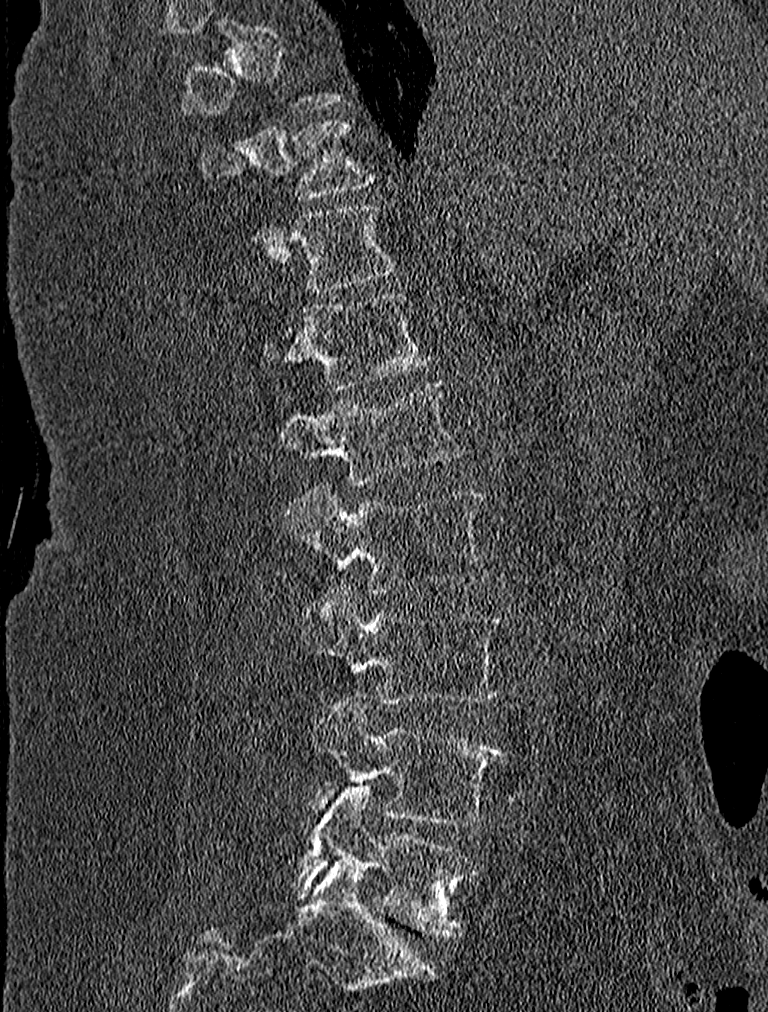

Computed tomography of the spine · sagittal view · 768x1012 px

A vertebra is boxed only from the first to the last slice where its cross-section is at least a third of its largest; slices outside that range leave it without a box.
<vertebrae><v name="T10" x1="201" y1="119" x2="373" y2="198"/><v name="T11" x1="249" y1="202" x2="400" y2="293"/><v name="T12" x1="262" y1="291" x2="434" y2="389"/><v name="L1" x1="276" y1="379" x2="465" y2="483"/><v name="L2" x1="283" y1="481" x2="492" y2="593"/><v name="L3" x1="301" y1="583" x2="505" y2="704"/><v name="L4" x1="311" y1="696" x2="504" y2="826"/><v name="L5" x1="293" y1="786" x2="478" y2="938"/></vertebrae>